Spine CT · Sagittal slice 254/512 · W/L 1800/400 HU · 512x681 px · scan covers 8 annotated vertebrae
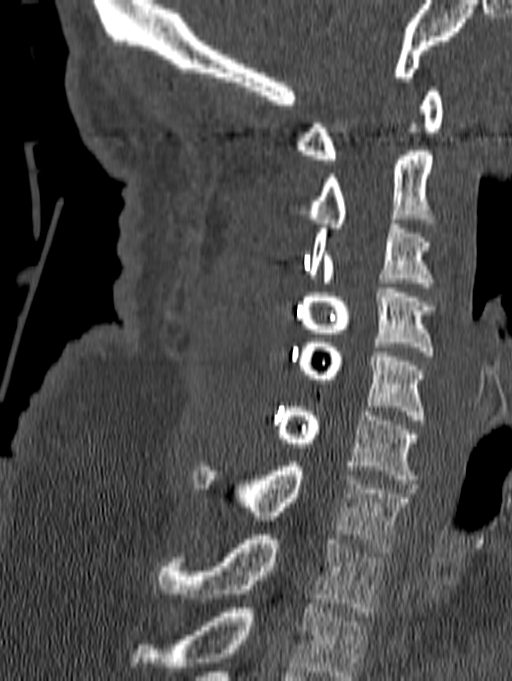
The highest labeled vertebra in this scan is C1; the lowest is T1.
<vertebrae><v name="C1" x1="297" y1="87" x2="443" y2="164"/><v name="C2" x1="309" y1="151" x2="435" y2="228"/><v name="C3" x1="309" y1="219" x2="432" y2="287"/><v name="C4" x1="301" y1="288" x2="433" y2="356"/><v name="C5" x1="301" y1="338" x2="425" y2="424"/><v name="C6" x1="276" y1="407" x2="417" y2="484"/><v name="C7" x1="195" y1="462" x2="410" y2="552"/><v name="T1" x1="157" y1="535" x2="384" y2="616"/></vertebrae>